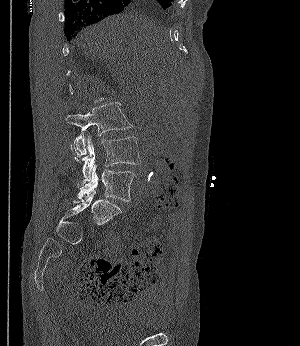
Spine computed tomography; sagittal view

A vertebra gets a box only on the slices from the first to the last where its cross-section is at least a third of its largest; on a slice outside that range it gets none.
<vertebrae><v name="L5" x1="77" y1="164" x2="136" y2="201"/><v name="L4" x1="71" y1="136" x2="140" y2="185"/><v name="L3" x1="66" y1="102" x2="131" y2="156"/></vertebrae>